Spine computed tomography — sagittal plane, index 280
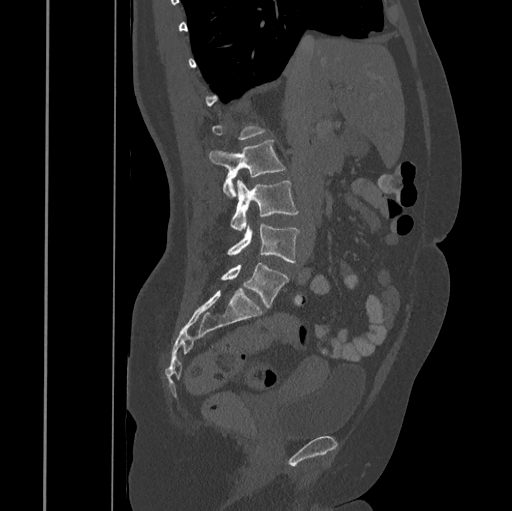

Box edges are left/top/right/bottom in pixels.
A vertebra gets a box only on the slices from the first to the last where its cross-section is at least a third of its largest; on a slice outside that range it gets none.
Vertebra bounding boxes:
- L5: left=221, top=262, right=288, bottom=308
- L4: left=227, top=224, right=299, bottom=262
- L3: left=230, top=180, right=298, bottom=230
- L2: left=209, top=140, right=285, bottom=197